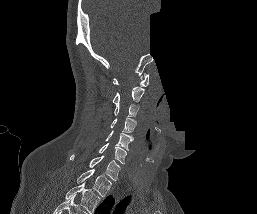

Spine CT · sagittal view · some of the image was removed or blocked out with constant pixels
Boxes are (x1, y1, x2, y2) in pixels.
This scan's labels start at C1 at the top and end at T1 at the bottom.
C1: (112, 73, 149, 86)
C2: (112, 87, 144, 104)
C3: (114, 103, 138, 116)
C4: (110, 117, 136, 133)
C5: (105, 130, 133, 150)
C6: (99, 143, 126, 164)
C7: (70, 154, 120, 180)
T1: (76, 169, 112, 196)